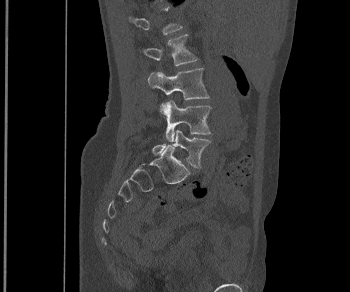

CT. sagittal view. W/L 1800/400 HU. Coordinates as <box>x1,y1,x2,y2</box>. A vertebra is boxed only from the first to the last slice where its cross-section is at least a third of its largest; slices outside that range leave it without a box. Vertebrae labeled: L2 at <box>142,34,198,65</box>, L3 at <box>148,68,209,100</box>, L4 at <box>160,100,211,141</box>, L5 at <box>152,129,210,168</box>.